CT, spine; sagittal view; 512x980 px; 16 vertebrae labeled in this scan
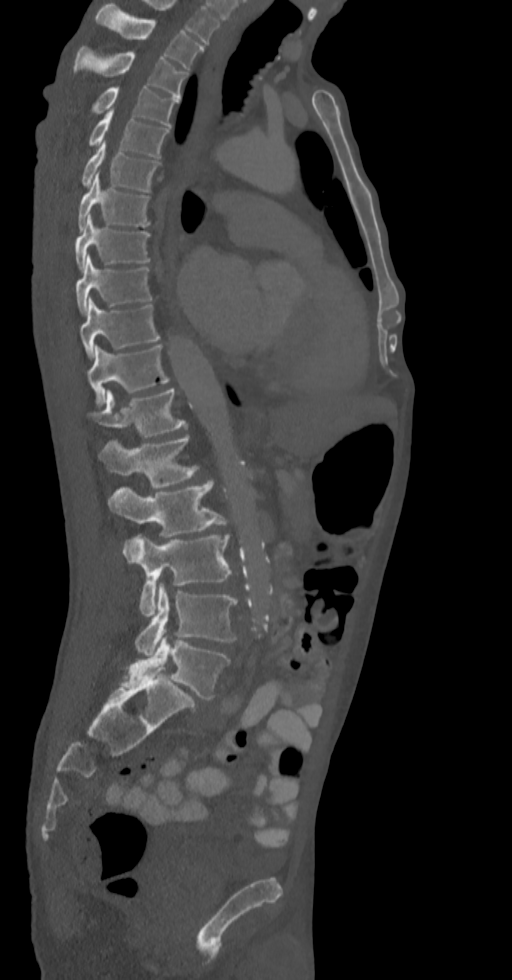
Coordinates as <box>x1,y1,x2,y2</box>. The labeled vertebrae in this slice are: L5 at <box>121,635,230,700</box>, L4 at <box>135,582,236,656</box>, L3 at <box>123,535,232,616</box>, L2 at <box>108,480,232,537</box>, L1 at <box>97,436,198,488</box>, T12 at <box>88,389,188,436</box>, T11 at <box>87,344,169,406</box>, T10 at <box>80,299,160,359</box>, T9 at <box>76,254,153,314</box>, T8 at <box>74,215,150,270</box>, T7 at <box>77,174,150,231</box>, T6 at <box>82,142,160,191</box>, T5 at <box>88,108,168,157</box>, T4 at <box>91,87,179,127</box>, T3 at <box>73,46,186,98</box>, T2 at <box>96,3,203,69</box>.